Spine computed tomography — image width 180 mm — sagittal plane, index 183
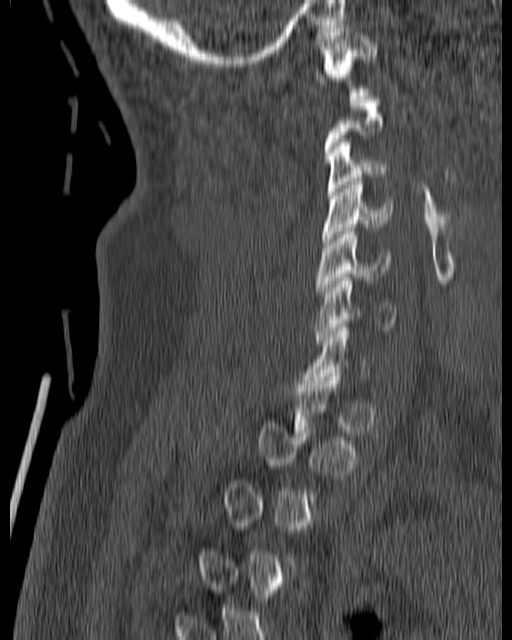
Boxes are given in columns x1, y1, x2, y2, the pixel coordinates of their top-left and bottom-right corners.
Each vertebra is boxed only on the slices from the first to the last where its cross-section reaches a third of its largest, so a slice outside that range leaves it unboxed.
| vertebra | x1 | y1 | x2 | y2 |
|---|---|---|---|---|
| C6 | 314 | 277 | 397 | 344 |
| C5 | 316 | 228 | 390 | 294 |
| C4 | 322 | 178 | 393 | 248 |
| C3 | 326 | 139 | 392 | 195 |
| C1 | 314 | 25 | 376 | 95 |